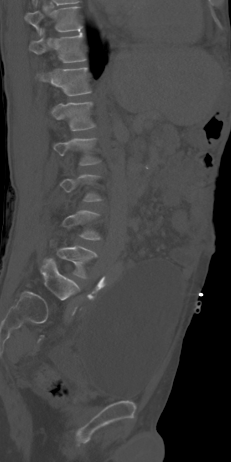
Spine computed tomography · sagittal view · bone-window reconstruction. Each box given as x1,y1,x2,y2.
A vertebra is boxed only from the first to the last slice where its cross-section is at least a third of its largest; slices outside that range leave it without a box.
Vertebra bounding boxes:
- L5: x1=50, y1=239, x2=97, y2=278
- L4: x1=62, y1=210, x2=100, y2=240
- L2: x1=53, y1=138, x2=100, y2=165
- L1: x1=51, y1=101, x2=95, y2=131
- T12: x1=38, y1=68, x2=91, y2=96
- T11: x1=29, y1=32, x2=84, y2=62
- T10: x1=25, y1=7, x2=82, y2=34